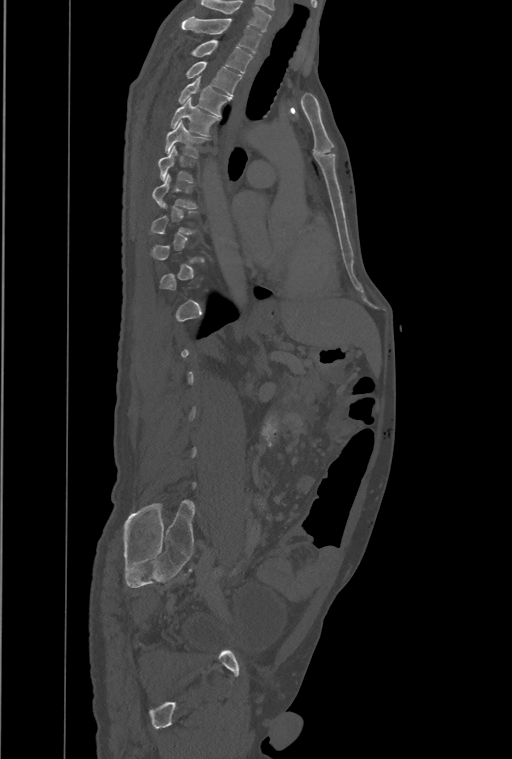

CT · sagittal reformat · Bone window (WL 400, WW 1800) · 461 mm wide
Each vertebra is boxed only on the slices from the first to the last where its cross-section reaches a third of its largest, so a slice outside that range leaves it unboxed.
Labels in this scan begin with T1 at the top and end with L4 at the bottom.
<vertebrae><v name="T1" x1="182" y1="17" x2="262" y2="53"/><v name="T2" x1="189" y1="40" x2="253" y2="73"/><v name="T3" x1="185" y1="61" x2="242" y2="95"/><v name="T4" x1="178" y1="76" x2="231" y2="116"/><v name="T5" x1="171" y1="98" x2="219" y2="136"/><v name="T6" x1="165" y1="121" x2="210" y2="157"/><v name="T7" x1="158" y1="146" x2="196" y2="183"/><v name="T8" x1="153" y1="174" x2="198" y2="208"/></vertebrae>